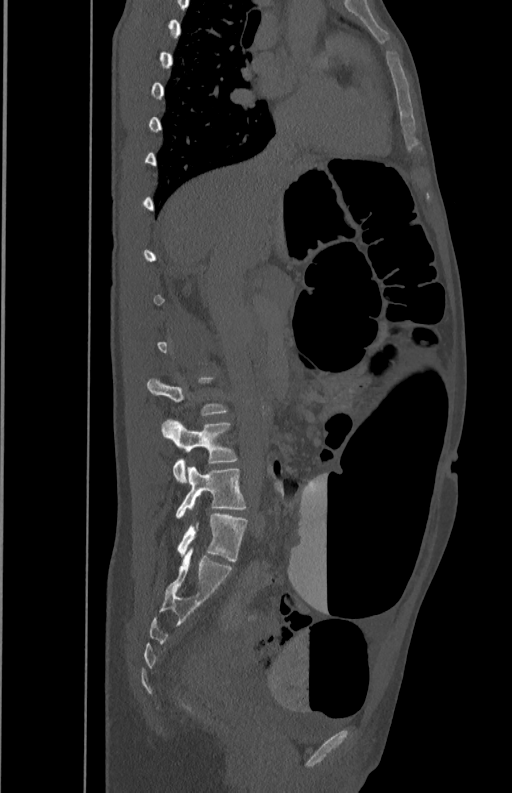 CT — sagittal reformat — 512x793 px
Boxes below are [x1, y1, x2, y2] in pixels.
Not every vertebra on this slice has a box: a vertebra is boxed only from the first to the last slice where its cross-section is at least a third of its largest, and this slice is outside that range for at least one of them.
{"vertebrae":{"L5":[175,466,246,518],"L4":[162,420,237,483]}}